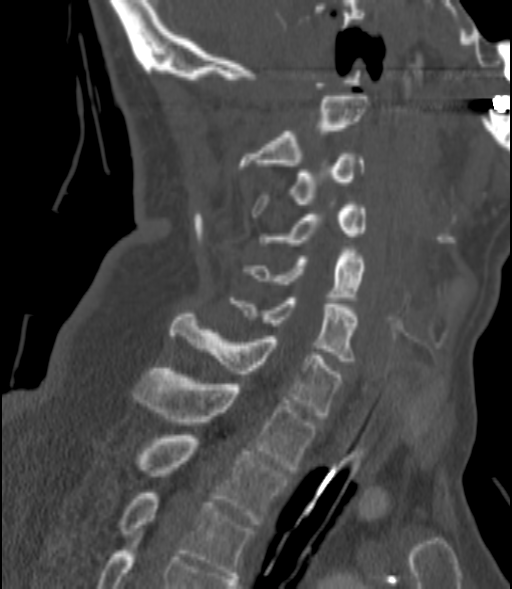 CT spine — sagittal reformat — Bone window (WL 400, WW 1800)
<vertebrae><v name="C2" x1="239" y1="96" x2="368" y2="169"/><v name="C3" x1="251" y1="150" x2="363" y2="217"/><v name="C4" x1="259" y1="205" x2="366" y2="245"/><v name="C5" x1="244" y1="250" x2="366" y2="300"/><v name="C6" x1="231" y1="298" x2="358" y2="364"/><v name="C7" x1="170" y1="314" x2="343" y2="418"/><v name="T1" x1="134" y1="368" x2="317" y2="469"/><v name="T2" x1="139" y1="435" x2="287" y2="524"/><v name="T3" x1="121" y1="493" x2="253" y2="578"/></vertebrae>